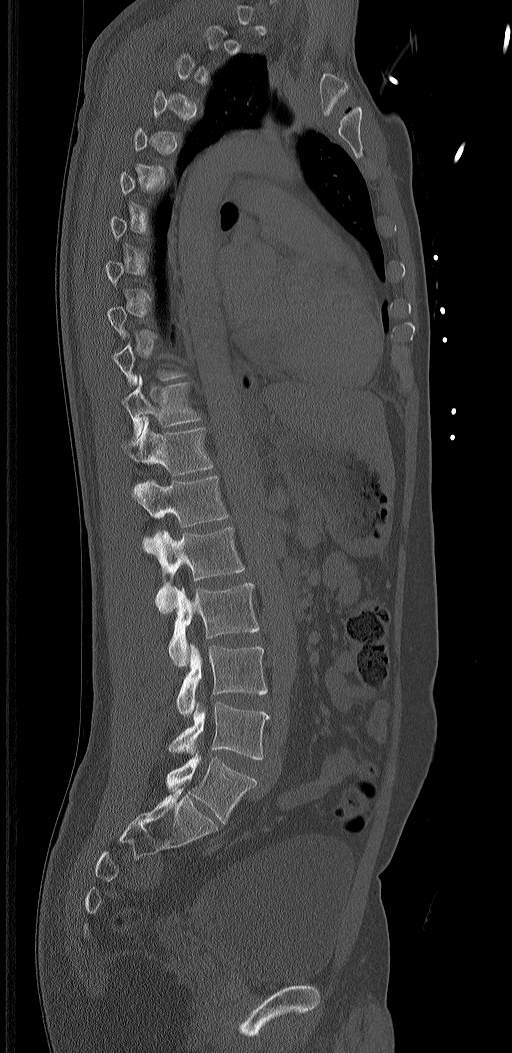
Spine CT · sagittal view · bone window · 512x1053 px
Each box given as x1,y1,x2,y2.
A vertebra gets a box only on the slices from the first to the last where its cross-section is at least a third of its largest; on a slice outside that range it gets none.
In these labels the spine has an L6, a sixth lumbar vertebra below L5.
Vertebra bounding boxes:
- L6: x1=165, y1=753, x2=257, y2=823
- L5: x1=168, y1=703, x2=270, y2=759
- L4: x1=176, y1=643, x2=267, y2=716
- L3: x1=168, y1=583, x2=259, y2=667
- L2: x1=154, y1=527, x2=244, y2=614
- L1: x1=132, y1=476, x2=230, y2=552
- T12: x1=122, y1=417, x2=214, y2=476
- T11: x1=122, y1=375, x2=201, y2=440